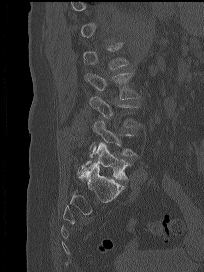

Spine computed tomography · the image spans 204 mm across · sagittal view · Bone window (WL 400, WW 1800)
Each box given as x1,y1,x2,y2. The labeled vertebrae in this slice are: L1 at x1=83, y1=42, x2=129, y2=68, L2 at x1=84, y1=72, x2=139, y2=99, L3 at x1=89, y1=95, x2=140, y2=126, L4 at x1=89, y1=120, x2=138, y2=158, L5 at x1=77, y1=143, x2=130, y2=181.